CT, spine; sagittal view
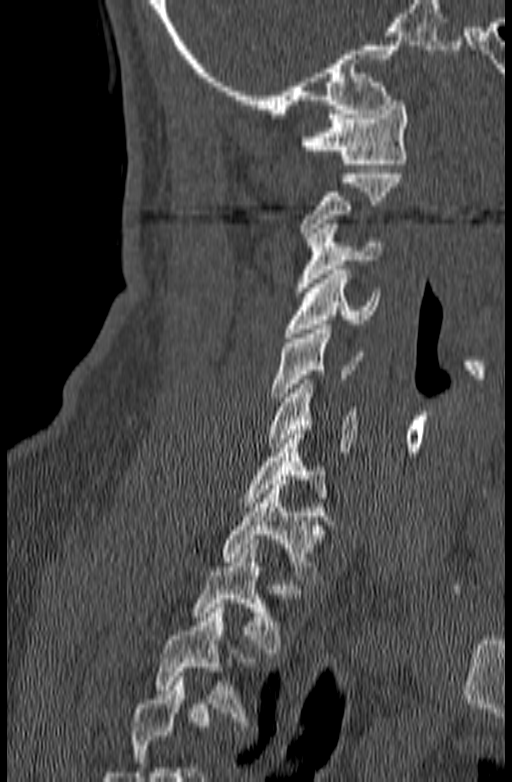
Columns x1, y1, x2, y2 give each box's top-left and bottom-right pixels.
Where the bottom of the scan cuts through a vertebra, that vertebra gets no label or box.
| vertebra | x1 | y1 | x2 | y2 |
|---|---|---|---|---|
| T3 | 156 | 603 | 255 | 721 |
| T2 | 191 | 544 | 282 | 653 |
| T1 | 221 | 485 | 333 | 584 |
| C7 | 243 | 430 | 326 | 506 |
| C6 | 267 | 379 | 357 | 452 |
| C5 | 271 | 325 | 363 | 401 |
| C4 | 284 | 270 | 381 | 337 |
| C3 | 295 | 224 | 381 | 292 |
| C2 | 300 | 169 | 403 | 241 |
| C1 | 301 | 101 | 408 | 177 |